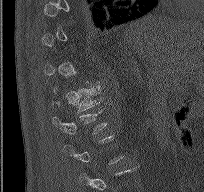

Spine CT. sagittal view. 204x192 px. Bounding boxes as [x1, y1, x2, y2] in pixel coordinates.
A vertebra gets a box only on the slices from the first to the last where its cross-section is at least a third of its largest; on a slice outside that range it gets none.
Vertebra bounding boxes:
- L1: [52, 109, 107, 134]
- T12: [52, 86, 101, 113]